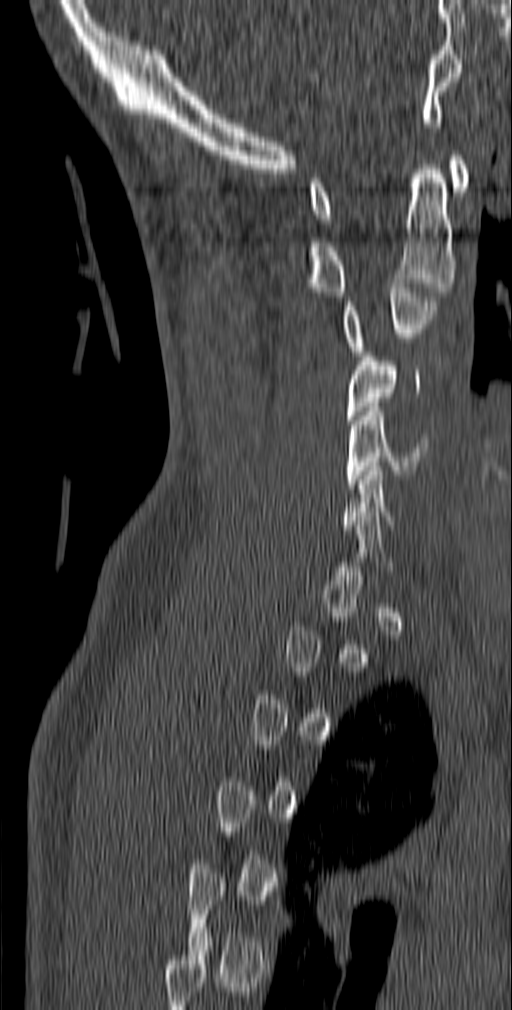 Spine computed tomography — sagittal reformat — 140 mm image width — 512x1010 px
Boxes below are [x1, y1, x2, y2] in pixels.
Not every vertebra on this slice has a box: a vertebra is boxed only from the first to the last slice where its cross-section is at least a third of its largest, and this slice is outside that range for at least one of them.
{"vertebrae":{"C1":[309,155,470,223],"C2":[309,165,454,296],"C3":[341,283,439,360],"C4":[346,352,421,424],"C5":[346,407,429,488]}}